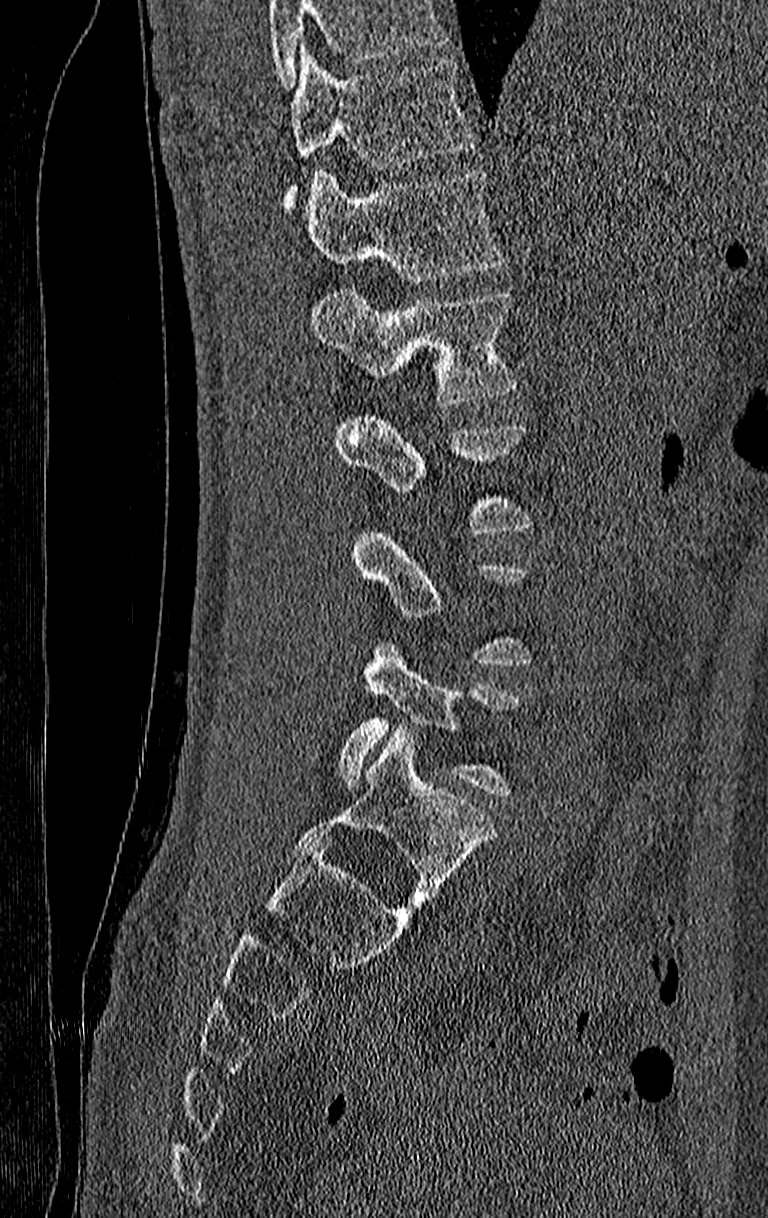
Computed tomography of the spine · sagittal view · 210 mm across the image

Columns x1, y1, x2, y2 give each box's top-left and bottom-right pixels.
A vertebra gets a box only on the slices from the first to the last where its cross-section is at least a third of its largest; on a slice outside that range it gets none.
Vertebrae that run past the top of the scan are left unlabeled.
In this scan, the topmost labeled vertebra is T11 and the lowest is L4.
| vertebra | x1 | y1 | x2 | y2 |
|---|---|---|---|---|
| L4 | 339 | 640 | 521 | 797 |
| L2 | 335 | 410 | 535 | 534 |
| L1 | 310 | 290 | 517 | 405 |
| T12 | 306 | 170 | 506 | 282 |
| T11 | 283 | 48 | 477 | 211 |